Spine CT; sagittal reformat; 461 mm wide; bone-window reconstruction
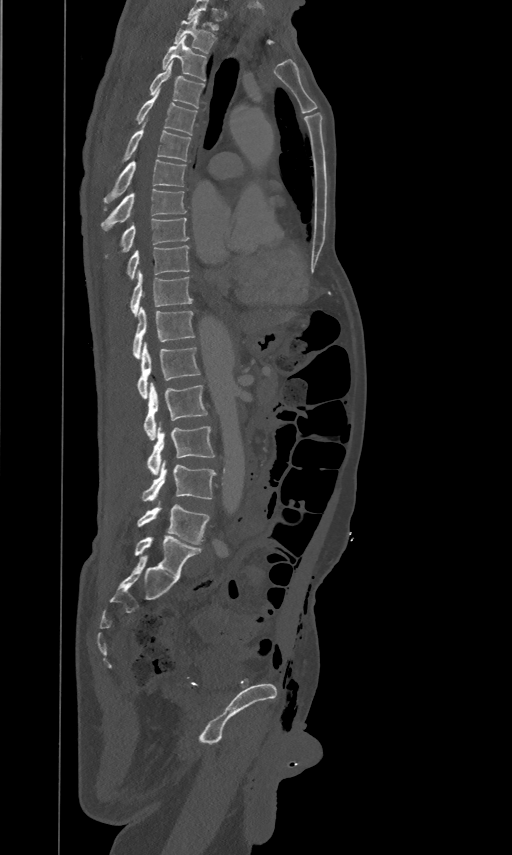

Boxes are given in columns x1, y1, x2, y2, the pixel coordinates of their top-left and bottom-right corners.
In this scan, the topmost labeled vertebra is T2 and the lowest is L5.
| vertebra | x1 | y1 | x2 | y2 |
|---|---|---|---|---|
| L5 | 138 | 501 | 209 | 544 |
| L4 | 142 | 461 | 215 | 502 |
| L3 | 147 | 421 | 214 | 475 |
| L2 | 143 | 381 | 206 | 440 |
| L1 | 138 | 341 | 200 | 398 |
| T12 | 133 | 305 | 193 | 358 |
| T11 | 130 | 269 | 192 | 316 |
| T10 | 128 | 244 | 189 | 278 |
| T9 | 121 | 216 | 188 | 250 |
| T8 | 101 | 187 | 186 | 229 |
| T7 | 104 | 159 | 186 | 208 |
| T6 | 113 | 129 | 190 | 166 |
| T5 | 135 | 88 | 197 | 135 |
| T4 | 150 | 61 | 204 | 108 |
| T3 | 162 | 35 | 206 | 80 |
| T2 | 174 | 13 | 215 | 53 |